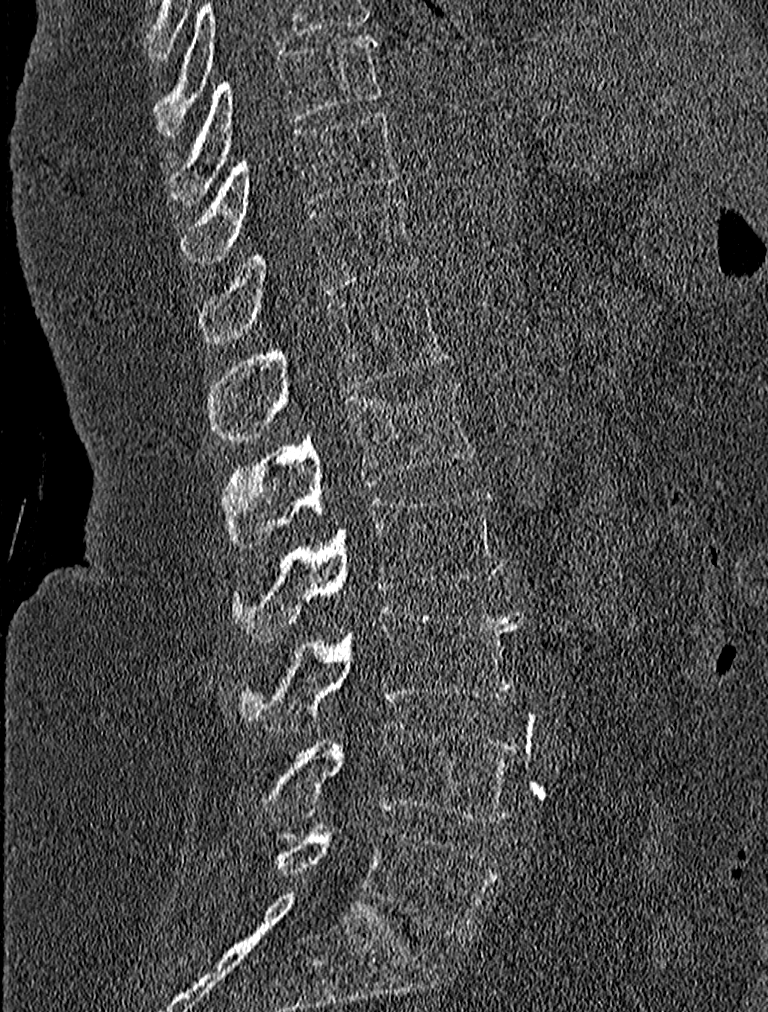
CT · sagittal view

Box edges are left/top/right/bottom in pixels.
| vertebra | x1 | y1 | x2 | y2 |
|---|---|---|---|---|
| L5 | 266 | 821 | 499 | 938 |
| L4 | 246 | 722 | 519 | 823 |
| L3 | 239 | 607 | 522 | 731 |
| L2 | 232 | 490 | 502 | 640 |
| L1 | 219 | 379 | 475 | 546 |
| T12 | 209 | 288 | 448 | 439 |
| T11 | 195 | 199 | 417 | 345 |
| T10 | 178 | 111 | 400 | 262 |
| T9 | 168 | 33 | 380 | 206 |